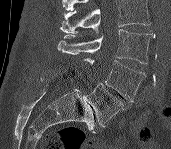

CT, spine; sagittal view; W/L 1800/400 HU; 171x149 px; the image spans 171 mm across
No box is given to a vertebra that the top edge of the scan cuts off.
<vertebrae><v name="L5" x1="84" y1="83" x2="123" y2="126"/><v name="L4" x1="83" y1="58" x2="146" y2="102"/><v name="L3" x1="57" y1="29" x2="155" y2="63"/></vertebrae>